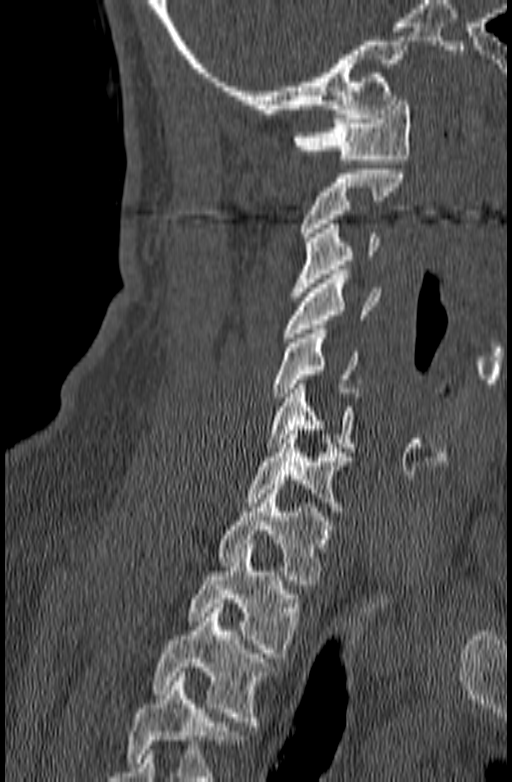 Computed tomography of the spine · sagittal view · bone window · 512x782 px. Boxes: x1:y1:x2:y2 in pixels.
Where the bottom of the scan cuts through a vertebra, that vertebra gets no label or box.
Vertebra bounding boxes:
- C1: 294:96:410:164
- C2: 300:169:404:241
- C3: 290:224:379:296
- C4: 282:270:382:342
- C5: 272:329:359:401
- C6: 267:384:361:452
- C7: 243:430:351:516
- T1: 217:485:334:584
- T2: 188:544:302:657
- T3: 153:603:275:726